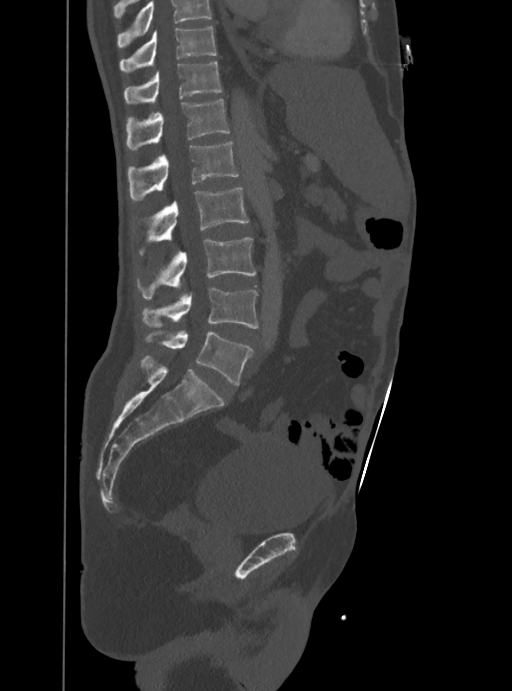
CT spine · 388 mm wide · sagittal view · 512x691 px
Boxes below are [x1, y1, x2, y2] in pixels.
A vertebra cut off by the top edge of the scan is not labeled and has no box.
{"vertebrae":{"T10":[120,26,217,73],"T11":[124,62,222,104],"T12":[127,99,230,150],"L1":[128,141,238,201],"L2":[140,188,248,253],"L3":[137,238,256,298],"L4":[142,287,259,329],"L5":[145,331,251,385]}}